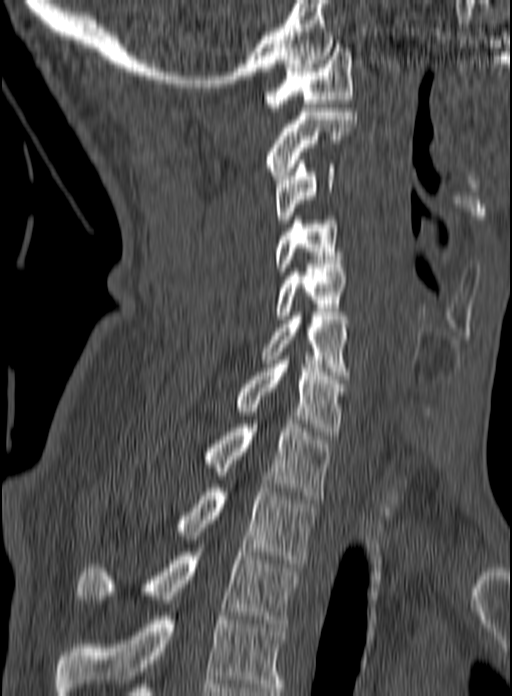 CT, spine — sagittal view
Boxes are (x1, y1, x2, y2) in pixels.
Labels in this scan begin with C1 at the top and end with T3 at the bottom.
C1: (264, 48, 352, 111)
C2: (267, 108, 357, 179)
C3: (275, 160, 335, 223)
C4: (276, 216, 344, 271)
C5: (276, 264, 348, 319)
C6: (260, 312, 349, 379)
C7: (235, 360, 346, 435)
T1: (205, 420, 331, 499)
T2: (177, 484, 317, 567)
T3: (78, 548, 298, 627)